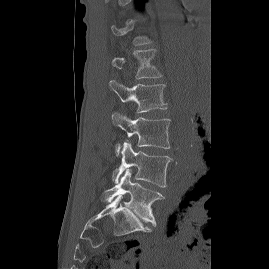 CT, spine — sagittal view
A vertebra gets a box only on the slices from the first to the last where its cross-section is at least a third of its largest; on a slice outside that range it gets none.
<vertebrae><v name="L1" x1="112" y1="49" x2="162" y2="78"/><v name="L2" x1="109" y1="79" x2="167" y2="112"/><v name="L3" x1="111" y1="113" x2="170" y2="156"/><v name="L4" x1="112" y1="141" x2="172" y2="187"/><v name="L5" x1="99" y1="168" x2="164" y2="226"/></vertebrae>